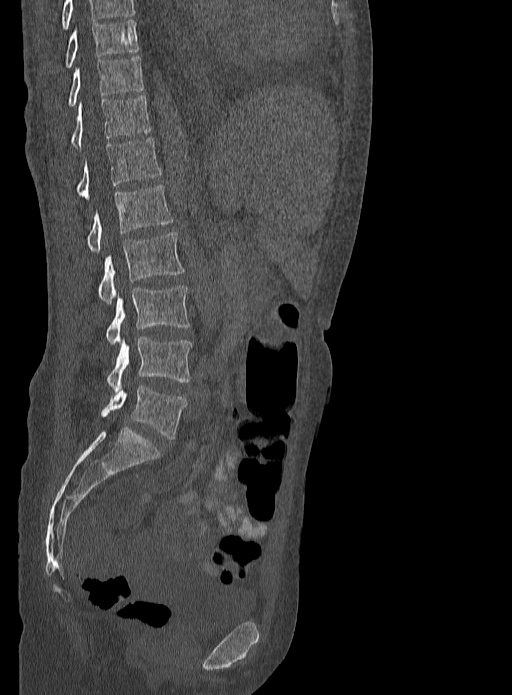
Spine CT; sagittal view; bone-window reconstruction; 333 mm wide; 512x695 px
Bounding boxes as [x1, y1, x2, y2] in pixel coordinates.
This scan's labels start at T9 at the top and end at L5 at the bottom.
L5: [101, 386, 186, 439]
L4: [107, 337, 191, 393]
L3: [106, 286, 189, 346]
L2: [98, 232, 183, 303]
L1: [87, 185, 172, 253]
T12: [77, 138, 162, 200]
T11: [70, 95, 151, 148]
T10: [69, 57, 143, 105]
T9: [66, 20, 139, 67]